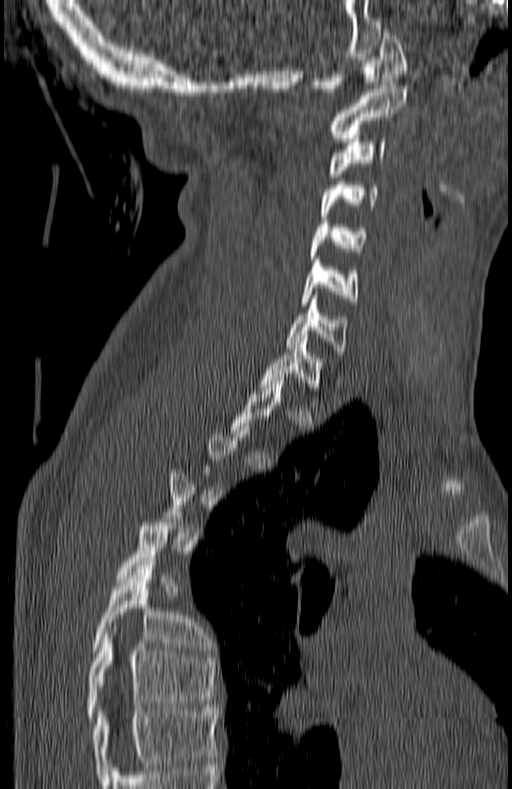

Computed tomography of the spine · sagittal view · bone-window reconstruction

Each box given as x1,y1,x2,y2.
Each vertebra is boxed only on the slices from the first to the last where its cross-section reaches a third of its largest, so a slice outside that range leaves it unboxed.
In this scan, the topmost labeled vertebra is C1 and the lowest is T7.
Vertebra bounding boxes:
- C1: x1=314, y1=28, x2=407, y2=91
- C2: x1=331, y1=85, x2=407, y2=141
- C3: x1=329, y1=135, x2=384, y2=177
- C4: x1=322, y1=181, x2=378, y2=219
- C5: x1=311, y1=220, x2=367, y2=259
- C6: x1=302, y1=256, x2=358, y2=305
- C7: x1=285, y1=299, x2=347, y2=351
- T1: x1=260, y1=334, x2=321, y2=387
- T6: x1=92, y1=558, x2=207, y2=653
- T7: x1=86, y1=629, x2=216, y2=721